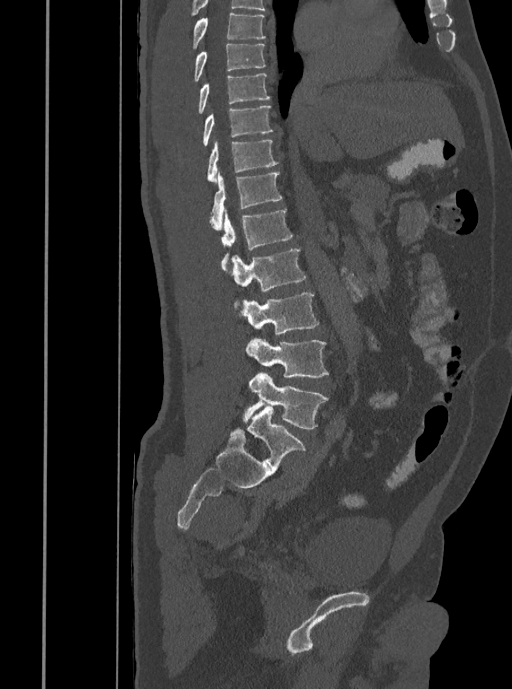 Spine CT · sagittal view · Bone window (WL 400, WW 1800) · 512x689 px

Box values are [left, top, right, bottom] in pixels.
{"vertebrae":{"T7":[192,12,265,48],"T8":[194,44,265,81],"T9":[198,73,270,113],"T10":[203,105,272,146],"T11":[207,139,279,182],"T12":[209,172,282,231],"L1":[221,210,293,270],"L2":[230,248,306,292],"L3":[238,293,319,334],"L4":[245,338,328,377],"L5":[243,373,328,428]}}